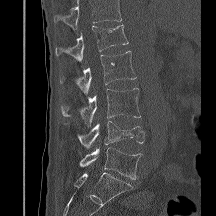
Spine computed tomography. sagittal reformat. 216x216 px. Boxes: x1:y1:x2:y2 in pixels.
A vertebra cut off by the top edge of the scan is not labeled and has no box.
L5: 79:147:142:179
L4: 77:120:144:148
L3: 60:88:140:126
L2: 60:51:136:94
L1: 56:24:128:62